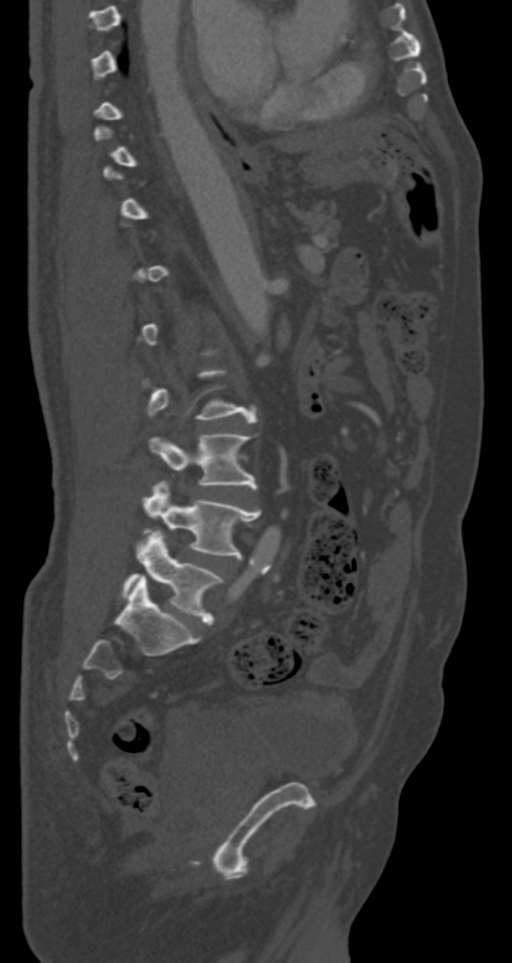 CT spine — 287 mm across the image — sagittal view — W/L 1800/400 HU
Box edges are left/top/right/bottom in pixels. Each vertebra is boxed only on the slices from the first to the last where its cross-section reaches a third of its largest, so a slice outside that range leaves it unboxed. 3 vertebrae labeled — L3 at left=149, top=433, right=257, bottom=487; L4 at left=144, top=481, right=261, bottom=557; L5 at left=123, top=529, right=223, bottom=625.